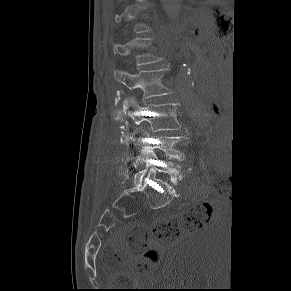 CT · sagittal reformat · image width 291 mm

Box edges are left/top/right/bottom in pixels.
A vertebra is boxed only from the first to the last slice where its cross-section is at least a third of its largest; slices outside that range leave it without a box.
Vertebra bounding boxes:
- L1: left=113, top=38, right=162, bottom=65
- L2: left=114, top=68, right=172, bottom=113
- L3: left=127, top=97, right=180, bottom=131
- L4: left=131, top=127, right=189, bottom=167
- L5: left=134, top=151, right=191, bottom=186